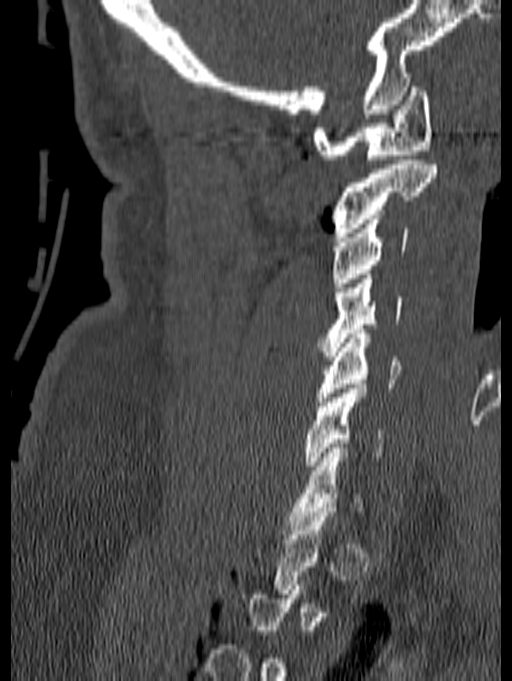

Spine computed tomography. sagittal view. the image is 140 mm wide
Boxes: x1:y1:x2:y2 in pixels.
A vertebra gets a box only on the slices from the first to the last where its cross-section is at least a third of its largest; on a slice outside that range it gets none.
C1: 313:82:432:159
C2: 331:160:436:237
C3: 332:219:409:287
C4: 318:274:403:356
C5: 316:329:401:406
C6: 305:384:385:470